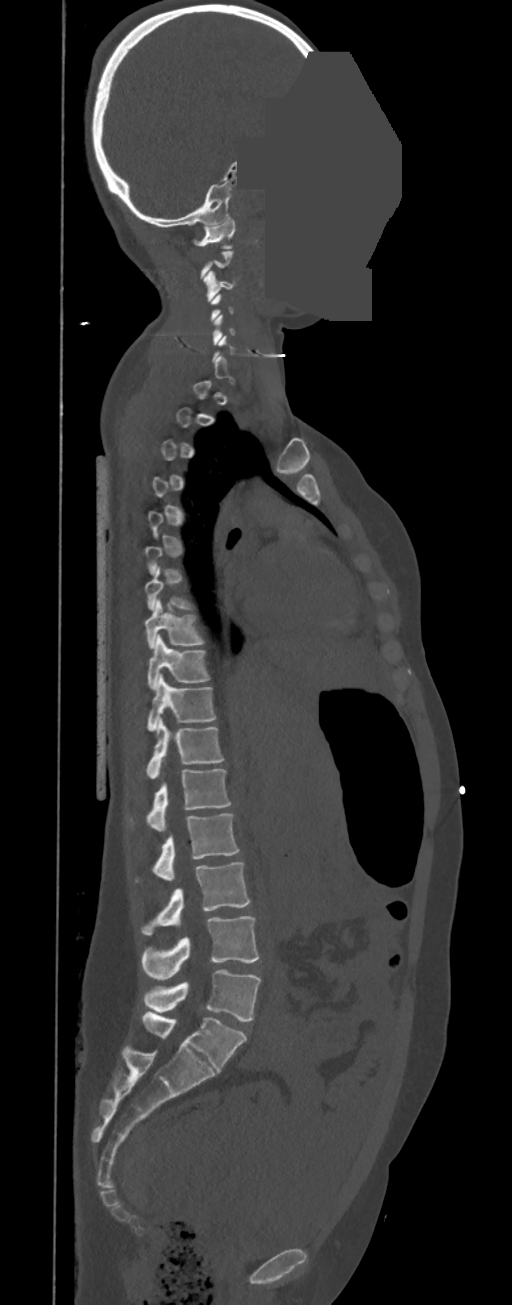
CT. sagittal reformat. 350 mm across the image. an area of the scan was removed and filled with constant pixels. Boxes: x1 y1 x2 y2 (pixel coords, space-separated). Not every vertebra on this slice has a box: a vertebra is boxed only from the first to the last slice where its cross-section is at least a third of its largest, and this slice is outside that range for at least one of them. These labels give this spine no T12: after T11 the next vertebra is L1. 11 vertebrae labeled — C1 at 193 217 234 248; C3 at 203 270 234 302; T8 at 145 599 204 648; T9 at 148 635 209 689; T10 at 148 674 215 730; T11 at 146 718 223 778; L1 at 148 769 231 831; L2 at 153 814 239 881; L3 at 142 862 250 935; L4 at 142 916 259 980; L5 at 143 970 261 1022.